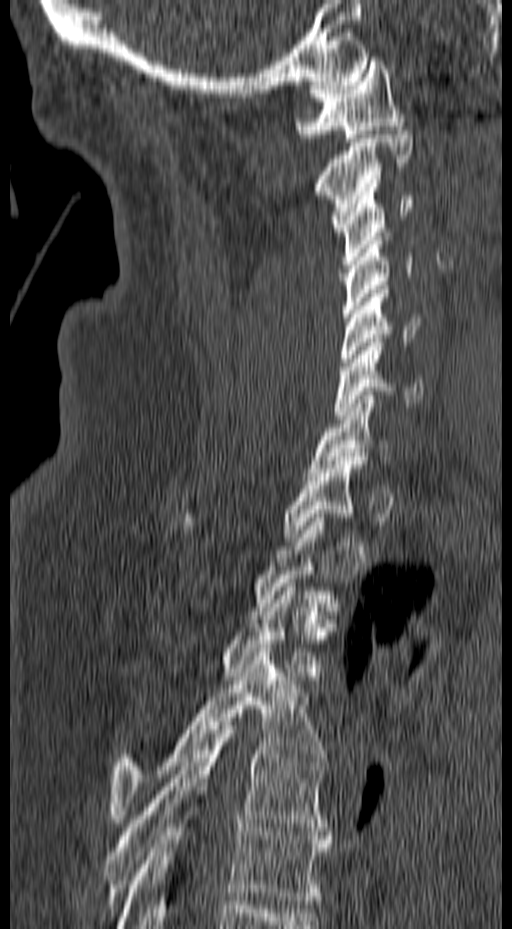 CT spine — sagittal view — W/L 1800/400 HU
Each row gives a vertebra's box as x1, y1, x2, y2 in pixels: top-left corner, then bottom-right corner.
A vertebra gets a box only on the slices from the first to the last where its cross-section is at least a third of its largest; on a slice outside that range it gets none.
| vertebra | x1 | y1 | x2 | y2 |
|---|---|---|---|---|
| C1 | 294 | 57 | 403 | 142 |
| C2 | 314 | 130 | 412 | 231 |
| C3 | 339 | 183 | 414 | 268 |
| C4 | 342 | 232 | 413 | 317 |
| C5 | 339 | 285 | 422 | 370 |
| C6 | 333 | 338 | 422 | 419 |
| C7 | 308 | 391 | 392 | 476 |
| T1 | 180 | 457 | 367 | 541 |
| T3 | 219 | 579 | 324 | 680 |
| T4 | 110 | 648 | 326 | 827 |
| T5 | 105 | 717 | 330 | 912 |
| T6 | 117 | 815 | 330 | 928 |